CT; sagittal view
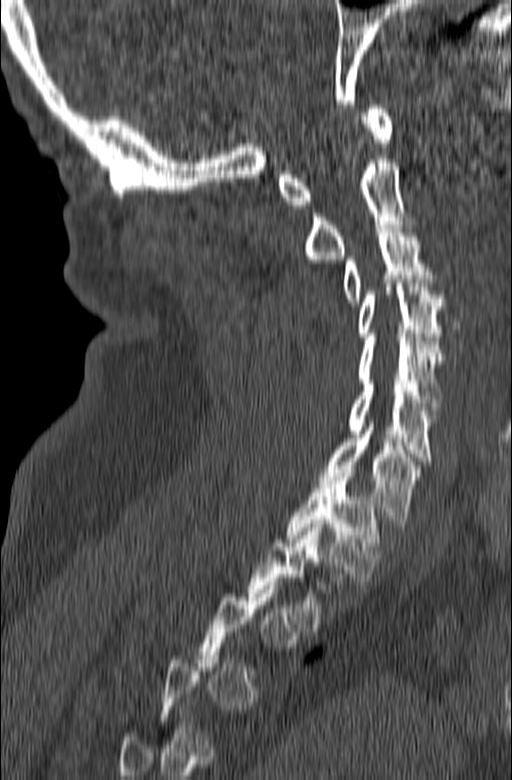

Boxes: x1 y1 x2 y2 (pixel coords, space-separated).
A vertebra is boxed only from the first to the last slice where its cross-section is at least a third of its largest; slices outside that range leave it without a box.
Vertebra bounding boxes:
- C1: 278 105 392 208
- C2: 305 159 417 263
- C3: 342 225 434 305
- C4: 358 275 444 340
- C5: 358 334 444 406
- C6: 348 380 435 464
- C7: 318 419 422 523
- T1: 287 469 380 581
- T2: 247 524 329 627